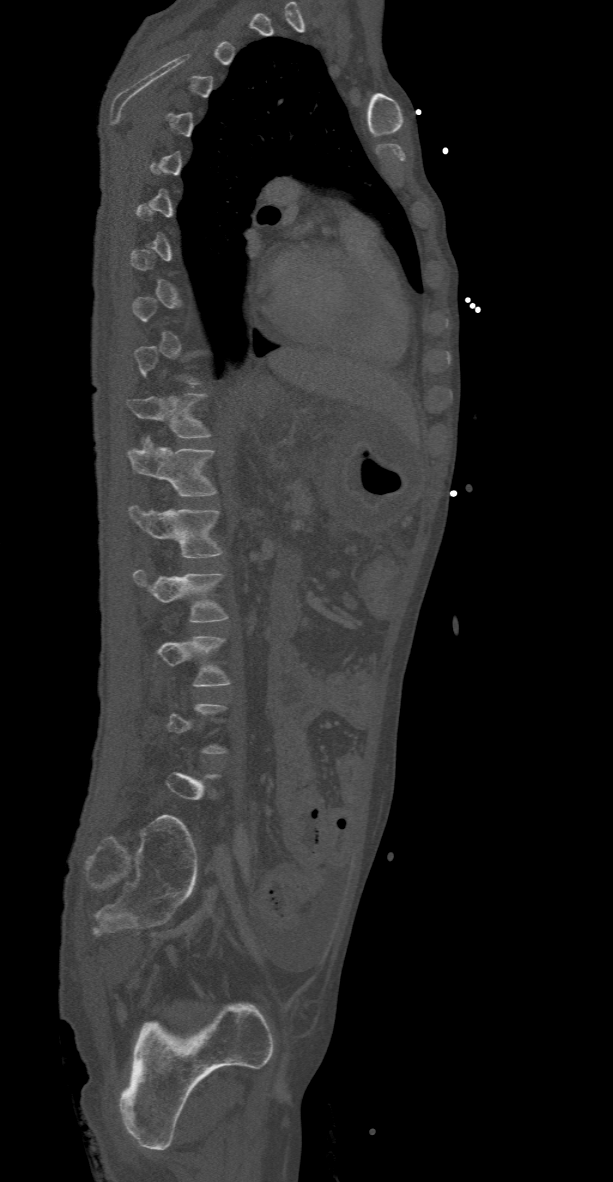
Spine computed tomography; sagittal view; bone-window reconstruction

Each vertebra maps to its box as [x1, y1, x2, y2], the pixel coordinates of its top-left and bottom-right corners.
A vertebra gets a box only on the slices from the first to the last where its cross-section is at least a third of its largest; on a slice outside that range it gets none.
{"vertebrae":{"T11":[127,394,210,438],"T12":[128,441,216,496],"L1":[129,506,222,558],"L2":[133,569,227,621]}}